CT — Sagittal slice 45/61 — W/L 1800/400 HU — 114x198 px — 114 mm image width — scan covers 7 annotated vertebrae
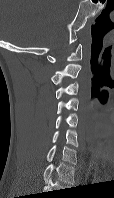
Each vertebra maps to its box as [x1, y1, x2, y2], the pixel coordinates of its top-left and bottom-right corners.
This scan's labels start at C1 at the top and end at C7 at the bottom.
{"vertebrae":{"C7":[46,145,76,164],"C6":[52,129,78,146],"C5":[55,113,78,128],"C4":[56,98,78,114],"C3":[55,82,78,100],"C2":[51,63,81,85],"C1":[47,44,82,62]}}